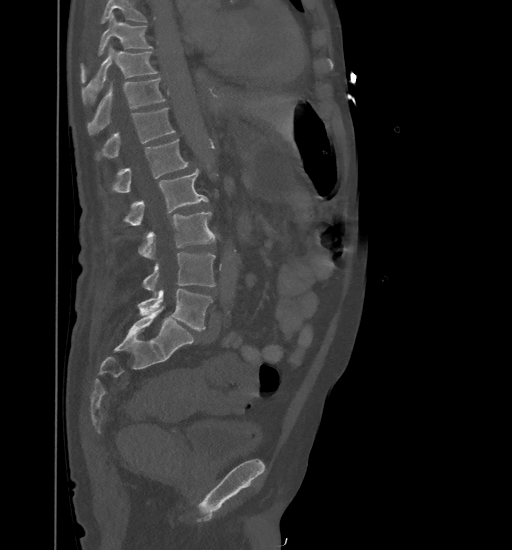 Spine computed tomography. sagittal view. bone-window reconstruction. the image spans 461 mm across. 512x550 px
Boxes are (x1, y1, x2, y2) in pixels.
No box is given to a vertebra that the top edge of the scan cuts off.
L5: (138, 289, 212, 330)
L4: (142, 252, 215, 294)
L3: (138, 211, 216, 258)
L2: (123, 169, 207, 226)
L1: (111, 139, 188, 192)
T12: (96, 108, 174, 160)
T11: (88, 78, 165, 135)
T10: (82, 46, 157, 105)
T9: (81, 13, 152, 79)